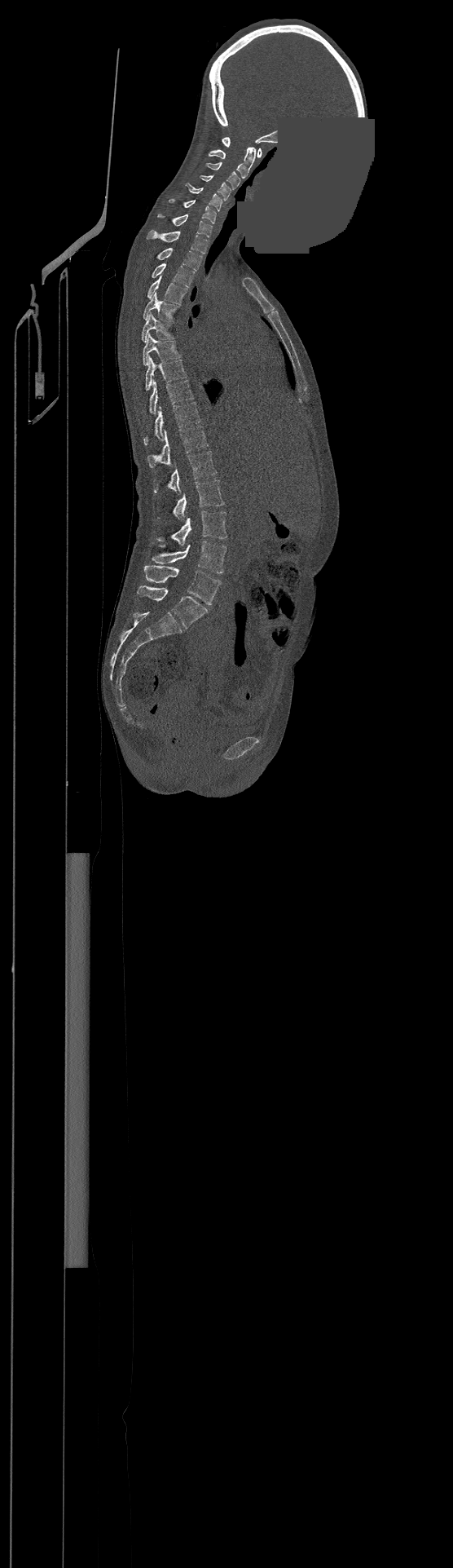
CT. sagittal reformat. the image spans 500 mm across. bone window. part of the image is a flat gray fill, not anatomy

Bounding boxes as [x1, y1, x2, y2] in pixel coordinates.
The highest labeled vertebra in this scan is C1; the lowest is L4.
L4: [144, 565, 221, 604]
L3: [152, 541, 226, 573]
L2: [156, 510, 226, 545]
L1: [174, 480, 224, 520]
T12: [154, 451, 217, 492]
T11: [147, 426, 208, 467]
T10: [144, 402, 200, 444]
T9: [149, 380, 193, 414]
T8: [145, 356, 187, 391]
T7: [143, 334, 180, 365]
T6: [142, 313, 174, 342]
T5: [143, 294, 178, 320]
T4: [147, 276, 187, 304]
T3: [152, 263, 194, 287]
T2: [157, 248, 201, 271]
T1: [147, 230, 208, 254]
C7: [157, 214, 213, 237]
C6: [169, 199, 216, 223]
C5: [186, 183, 222, 211]
C4: [200, 174, 231, 200]
C3: [206, 163, 240, 189]
C2: [209, 147, 256, 178]
C1: [222, 137, 261, 157]